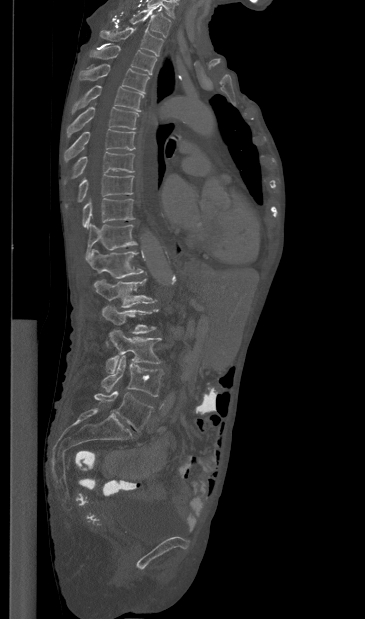

CT spine · sagittal view
Each vertebra maps to its box as [x1, y1, x2, y2], the pixel coordinates of its top-left and bottom-right corners.
{"vertebrae":{"T1":[115,8,170,37],"T2":[100,27,163,55],"T3":[90,46,156,74],"T4":[79,64,149,92],"T5":[72,85,144,113],"T6":[67,107,138,137],"T7":[64,129,135,161],"T8":[64,151,134,183],"T9":[65,174,133,207],"T10":[82,198,134,228],"T11":[85,224,136,260],"T12":[88,249,143,284],"L1":[94,279,156,307],"L2":[102,305,158,345],"L3":[106,330,161,373],"L4":[101,355,163,396],"L5":[94,391,152,431]}}